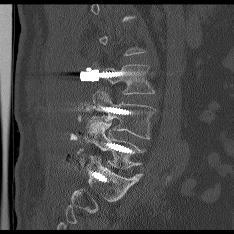

Spine CT; sagittal view; 234x234 px. Each box given as x1,y1,x2,y2. A vertebra is boxed only from the first to the last slice where its cross-section is at least a third of its largest; slices outside that range leave it without a box. The labeled vertebrae in this slice are: L5 at x1=87, y1=122, x2=141, y2=168, L4 at x1=85, y1=89, x2=155, y2=140, L3 at x1=102, y1=65, x2=154, y2=94.